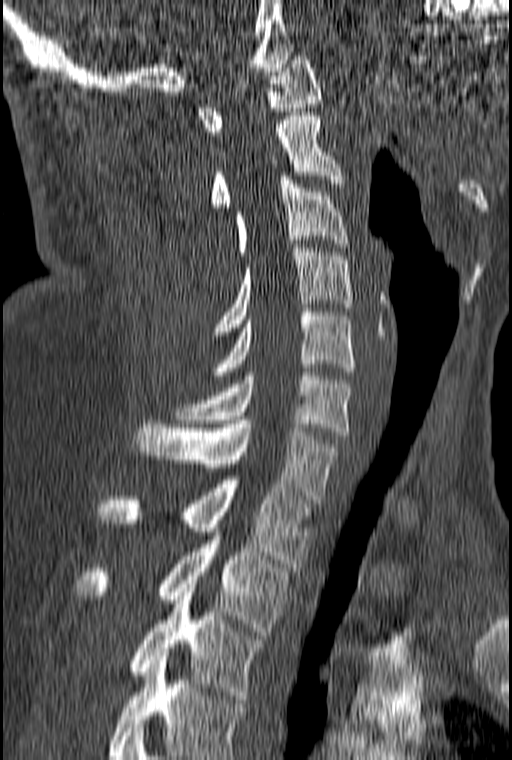
Spine CT — sagittal view — W/L 1800/400 HU

Boxes: x1:y1:x2:y2 in pixels.
This scan's labels start at C1 at the top and end at T3 at the bottom.
Vertebra bounding boxes:
- C1: 198:52:322:135
- C2: 211:112:344:207
- C3: 235:176:348:255
- C4: 213:244:352:331
- C5: 211:308:354:379
- C6: 175:372:352:435
- C7: 136:420:339:503
- T1: 97:480:312:571
- T2: 78:528:291:635
- T3: 129:584:266:699